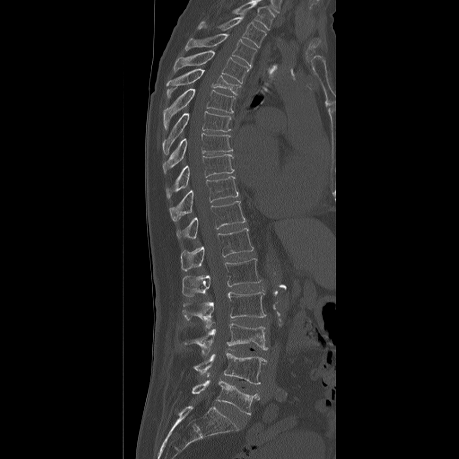 CT. sagittal reformat. bone-window reconstruction
Each vertebra maps to its box as [x1, y1, x2, y2], the pixel coordinates of its top-left and bottom-right corners.
In this scan, the topmost labeled vertebra is T2 and the lowest is L5.
{"vertebrae":{"T2":[198,15,266,47],"T3":[185,33,255,66],"T4":[174,50,249,83],"T5":[166,69,241,96],"T6":[162,88,235,128],"T7":[162,111,230,153],"T8":[162,133,232,173],"T9":[165,154,233,199],"T10":[169,176,238,221],"T11":[176,201,245,238],"T12":[180,228,253,270],"L1":[182,258,260,300],"L2":[181,291,265,329],"L3":[179,323,267,353],"L4":[180,352,266,384],"L5":[191,380,259,414]}}